CT — Sagittal slice 308/512 — image width 461 mm
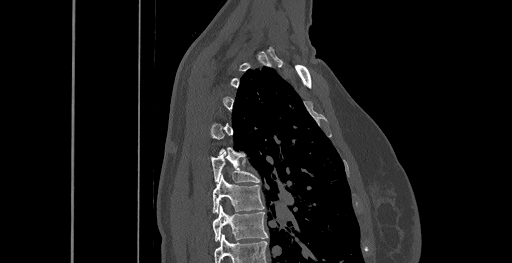

Box edges are left/top/right/bottom in pixels.
Each vertebra is boxed only on the slices from the first to the last where its cross-section reaches a third of its largest, so a slice outside that range leaves it unboxed.
This scan's labels start at C6 at the top and end at T8 at the bottom.
Vertebra bounding boxes:
- T8: left=213, top=205, right=268, bottom=241
- T7: left=213, top=175, right=264, bottom=212
- T6: left=211, top=154, right=260, bottom=182